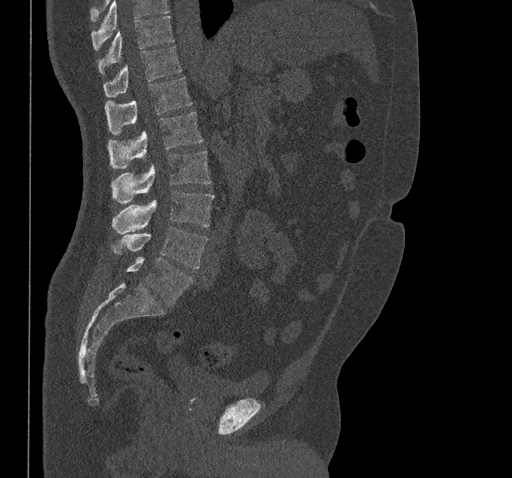 CT · the image spans 461 mm across · sagittal view

Each box given as x1,y1,x2,y2.
Where the top of the scan cuts through a vertebra, that vertebra gets no label or box.
Vertebra bounding boxes:
- L5: x1=127, y1=257, x2=193, y2=305
- L4: x1=111, y1=227, x2=207, y2=268
- L3: x1=112, y1=191, x2=214, y2=234
- L2: x1=111, y1=150, x2=210, y2=204
- L1: x1=107, y1=111, x2=203, y2=168
- T12: x1=105, y1=77, x2=192, y2=135
- T11: x1=103, y1=46, x2=182, y2=96
- T10: x1=98, y1=16, x2=174, y2=75